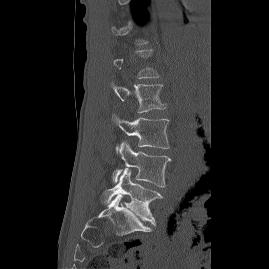

Spine CT — sagittal view — image 269 mm wide — W/L 1800/400 HU
Each box given as x1,y1,x2,y2.
Each vertebra is boxed only on the slices from the first to the last where its cross-section reaches a third of its largest, so a slice outside that range leaves it unboxed.
| vertebra | x1 | y1 | x2 | y2 |
|---|---|---|---|---|
| L2 | 111 | 81 | 166 | 112 |
| L3 | 111 | 114 | 169 | 154 |
| L4 | 111 | 142 | 171 | 187 |
| L5 | 100 | 168 | 163 | 225 |